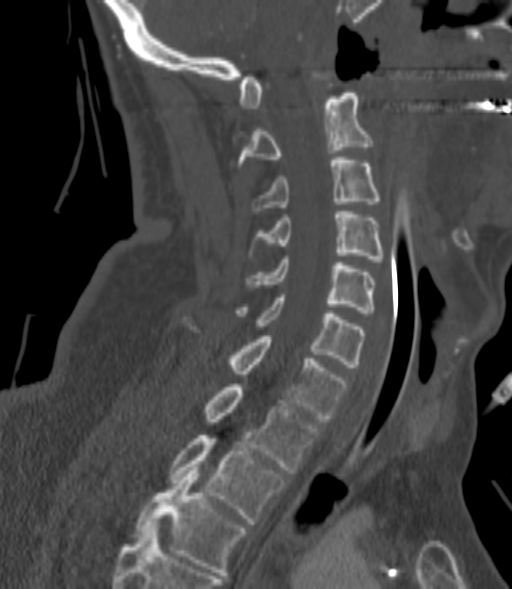

CT, spine · sagittal view · bone-window reconstruction
Coordinates as <box>x1,y1,x2,y2</box>.
Each vertebra is boxed only on the slices from the first to the last where its cross-section reaches a third of its largest, so a slice outside that range leaves it unboxed.
Vertebra bounding boxes:
- C2: <box>239,93,371,165</box>
- C3: <box>252,157,379,213</box>
- C4: <box>259,211,384,261</box>
- C5: <box>247,256,374,313</box>
- C6: <box>236,294,363,367</box>
- C7: <box>183,317,348,421</box>
- T1: <box>203,384,320,473</box>
- T2: <box>170,435,287,524</box>
- T3: <box>134,467,246,575</box>